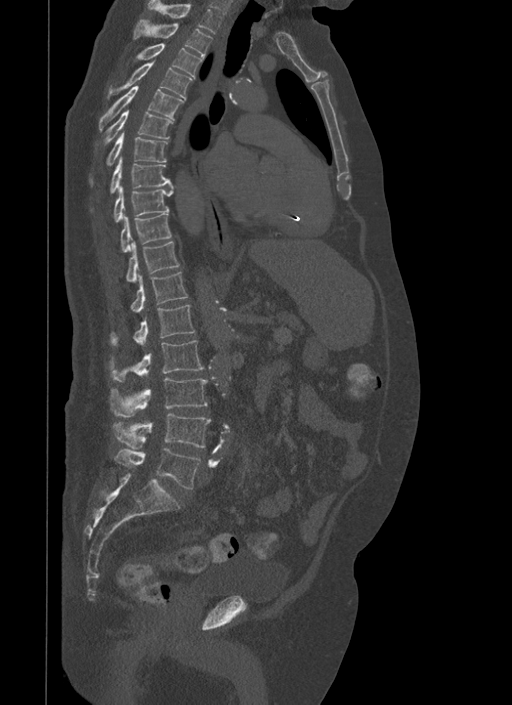 CT spine — sagittal view — Bone window (WL 400, WW 1800)
Each box is [x1, y1, x2, y2] in pixels: top-left corner, then bottom-right corner.
{"vertebrae":{"L5":[114,447,200,488],"L4":[112,413,211,449],"L3":[109,378,208,417],"L2":[108,340,204,381],"L1":[109,305,195,345],"T12":[132,272,188,312],"T11":[126,241,180,282],"T10":[120,212,171,252],"T9":[113,184,173,222],"T8":[109,157,172,193],"T7":[106,131,167,165],"T6":[104,110,172,143],"T5":[99,85,184,131],"T4":[108,61,192,99],"T3":[135,43,202,78],"T2":[135,19,212,58],"T1":[147,0,222,34]}}